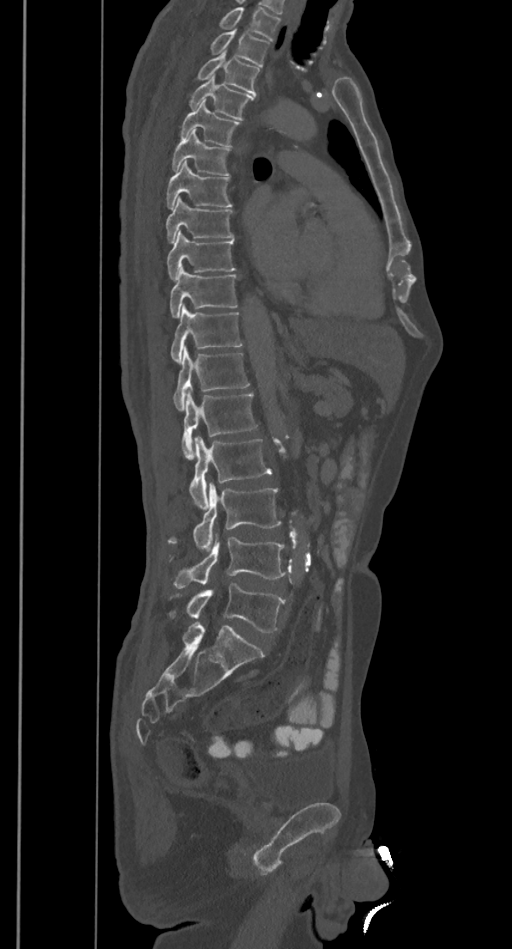
CT spine. sagittal view. Bounding boxes as [x1, y1, x2, y2] in pixel coordinates.
Where the top of the scan cuts through a vertebra, that vertebra gets no label or box.
Vertebra bounding boxes:
- T2: [210, 29, 269, 66]
- T3: [197, 51, 259, 95]
- T4: [189, 75, 254, 120]
- T5: [179, 102, 240, 146]
- T6: [171, 130, 230, 175]
- T7: [166, 159, 232, 208]
- T8: [166, 197, 233, 242]
- T9: [167, 230, 236, 279]
- T10: [170, 267, 237, 317]
- T11: [170, 305, 242, 362]
- T12: [173, 347, 249, 411]
- L1: [181, 394, 257, 459]
- L2: [189, 436, 271, 509]
- L3: [167, 482, 281, 551]
- L4: [174, 537, 290, 588]
- L5: [169, 583, 285, 632]